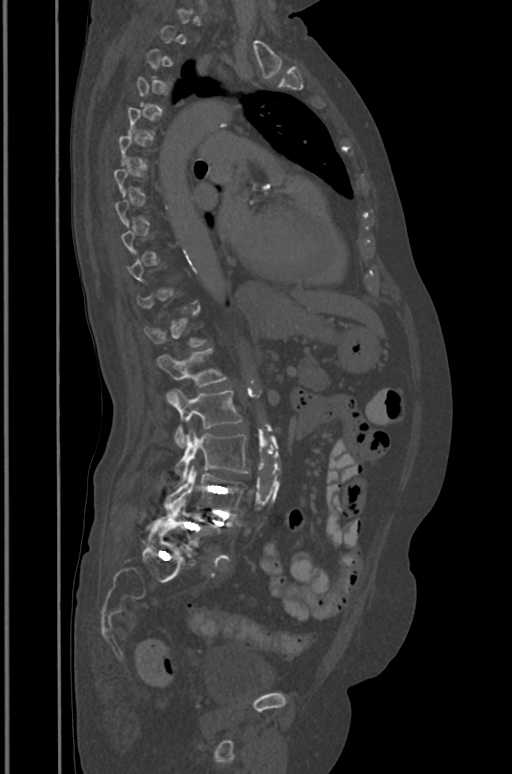

CT; sagittal reformat; W/L 1800/400 HU
Boxes are given in columns x1, y1, x2, y2, the pixel coordinates of their top-left and bottom-right corners.
A vertebra is boxed only from the first to the last slice where its cross-section is at least a third of its largest; slices outside that range leave it without a box.
| vertebra | x1 | y1 | x2 | y2 |
|---|---|---|---|---|
| L5 | 151 | 499 | 220 | 550 |
| L4 | 165 | 465 | 248 | 514 |
| L3 | 174 | 429 | 248 | 483 |
| L2 | 168 | 390 | 241 | 447 |
| L1 | 156 | 348 | 226 | 386 |